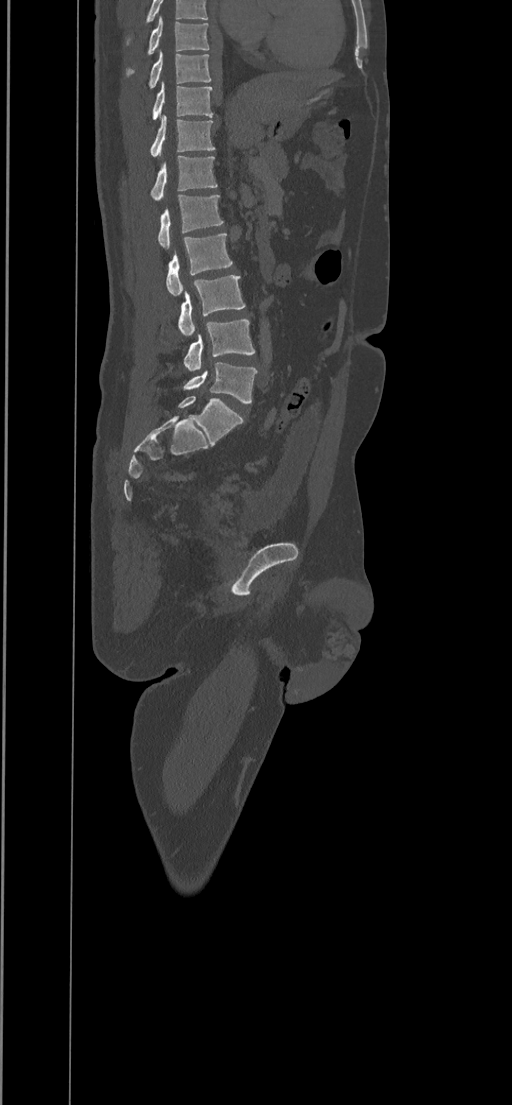

Spine computed tomography. sagittal view. bone window
Box edges are left/top/right/bottom in pixels.
This scan's labels start at T8 at the top and end at L5 at the bottom.
L5: left=183, top=362, right=257, bottom=402
L4: left=184, top=319, right=255, bottom=371
L3: left=178, top=275, right=245, bottom=336
L2: left=166, top=234, right=232, bottom=295
L1: left=158, top=194, right=223, bottom=250
T12: left=151, top=156, right=217, bottom=201
T11: left=150, top=115, right=215, bottom=157
T10: left=152, top=82, right=212, bottom=119
T9: left=148, top=51, right=211, bottom=88
T8: left=127, top=17, right=209, bottom=74